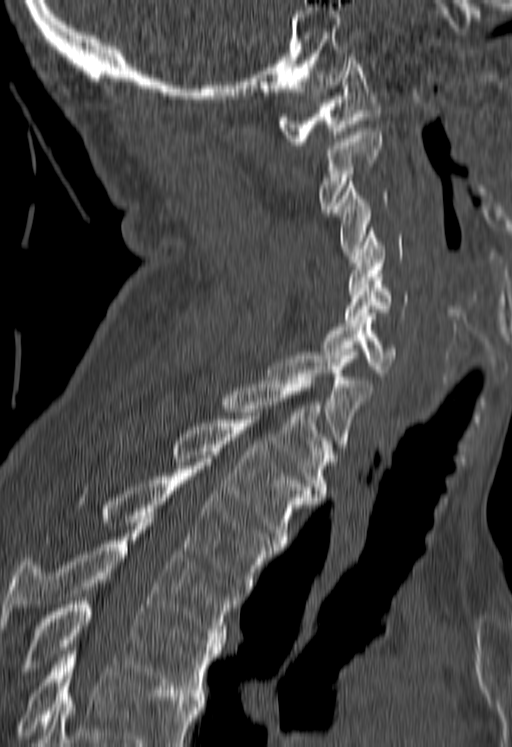 CT. sagittal reformat. 512x747 px

A vertebra cut off by the bottom edge of the scan is not labeled and has no box.
<vertebrae><v name="C1" x1="277" y1="57" x2="381" y2="145"/><v name="C2" x1="319" y1="128" x2="381" y2="212"/><v name="C3" x1="334" y1="178" x2="387" y2="255"/><v name="C4" x1="347" y1="228" x2="402" y2="291"/><v name="C5" x1="345" y1="274" x2="408" y2="323"/><v name="C6" x1="322" y1="316" x2="395" y2="376"/><v name="C7" x1="268" y1="356" x2="371" y2="451"/><v name="T1" x1="223" y1="377" x2="333" y2="497"/><v name="T2" x1="172" y1="416" x2="313" y2="547"/><v name="T3" x1="103" y1="469" x2="279" y2="596"/><v name="T4" x1="0" y1="519" x2="239" y2="643"/><v name="T5" x1="18" y1="601" x2="222" y2="696"/></vertebrae>